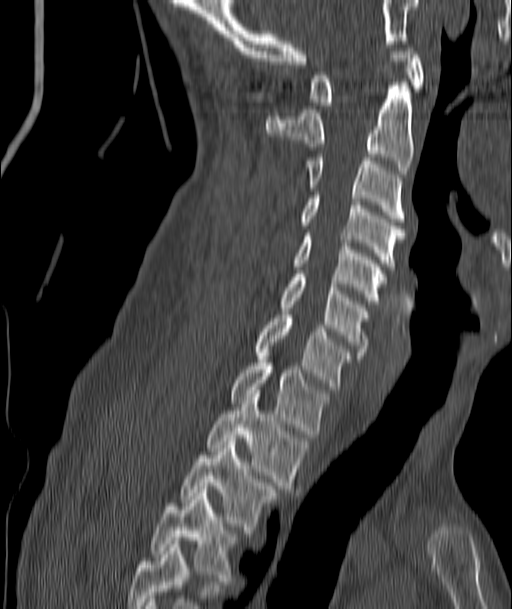 CT · sagittal view · bone-window reconstruction · image 187 mm wide · 512x609 px

<vertebrae><v name="C1" x1="310" y1="44" x2="424" y2="105"/><v name="C2" x1="266" y1="82" x2="413" y2="174"/><v name="C3" x1="308" y1="157" x2="405" y2="221"/><v name="C4" x1="299" y1="195" x2="405" y2="269"/><v name="C5" x1="294" y1="233" x2="386" y2="304"/><v name="C6" x1="280" y1="274" x2="367" y2="355"/><v name="C7" x1="255" y1="315" x2="350" y2="389"/><v name="T1" x1="231" y1="359" x2="328" y2="437"/><v name="T2" x1="206" y1="394" x2="309" y2="492"/><v name="T3" x1="182" y1="438" x2="276" y2="533"/><v name="T4" x1="151" y1="493" x2="236" y2="581"/></vertebrae>